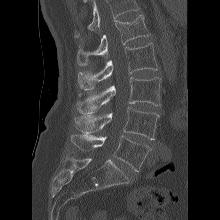 CT spine; 220 mm wide; sagittal view
Boxes are (x1, y1, x2, y2) in pixels.
No box is given to a vertebra that the top edge of the scan cuts off.
Vertebra bounding boxes:
- L1: (77, 14, 150, 65)
- L2: (78, 43, 157, 89)
- L3: (76, 77, 161, 113)
- L4: (74, 107, 159, 140)
- L5: (69, 134, 151, 171)